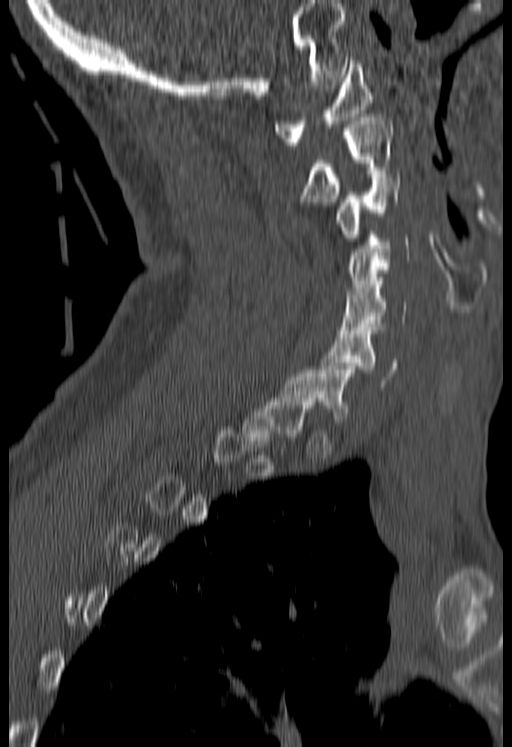

CT spine; sagittal view; bone-window reconstruction
Boxes: x1:y1:x2:y2 in pixels.
A vertebra is boxed only from the first to the last slice where its cross-section is at least a third of its largest; slices outside that range leave it without a box.
Vertebra bounding boxes:
- C1: 274:60:373:145
- C2: 300:114:392:205
- C3: 334:174:398:241
- C4: 345:235:410:294
- C5: 339:277:406:333
- C6: 322:324:398:387